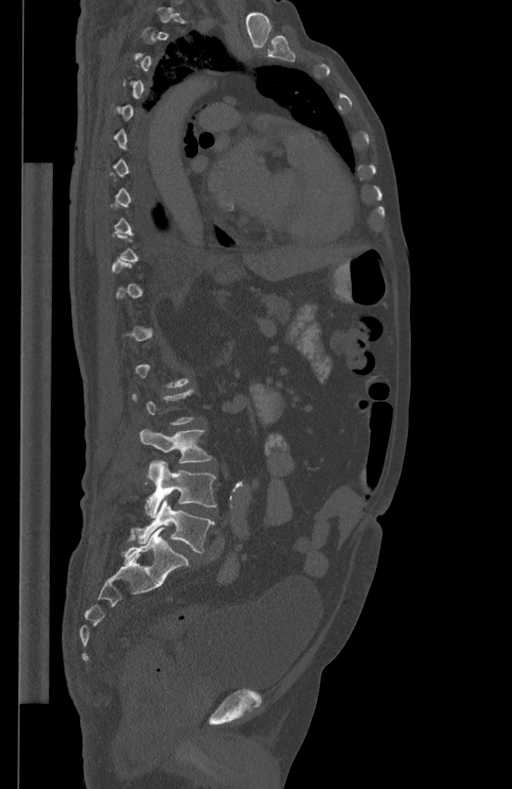 CT · sagittal view · W/L 1800/400 HU · 512x789 px
Boxes: x1 y1 x2 y2 (pixel coords, space-separated). Not every vertebra on this slice has a box: a vertebra is boxed only from the first to the last slice where its cross-section is at least a third of its largest, and this slice is outside that range for at least one of them. 3 vertebrae labeled — L3 at 139 429 211 462; L4 at 145 460 216 516; L5 at 136 498 214 553.